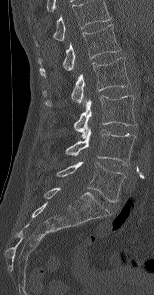

Spine CT; sagittal reformat; image width 154 mm; Bone window (WL 400, WW 1800)

Boxes are (x1, y1, x2, y2) in pixels.
Labels in this scan begin with L1 at the top and end with L5 at the bottom.
Vertebra bounding boxes:
- L5: (56, 161, 126, 202)
- L4: (66, 126, 135, 165)
- L3: (74, 95, 136, 138)
- L2: (44, 57, 130, 105)
- L1: (38, 24, 121, 75)